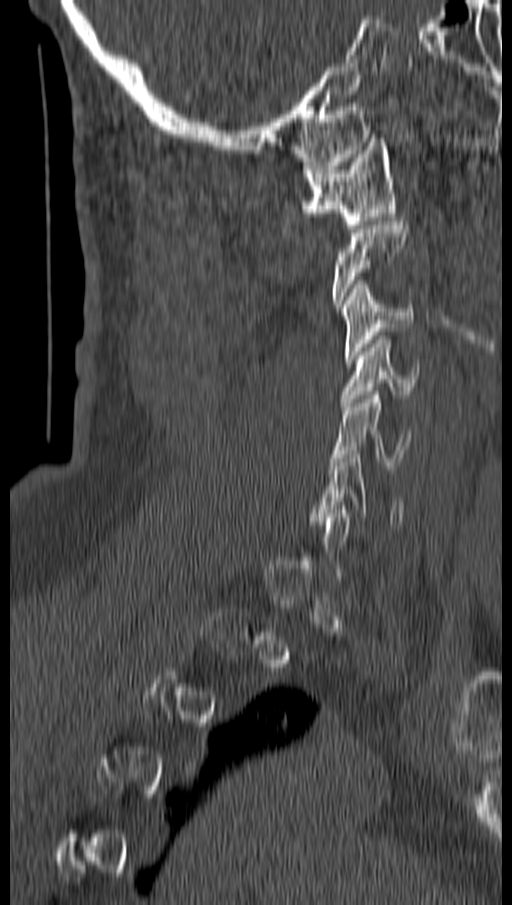
Spine computed tomography · sagittal view · bone window

Boxes: x1 y1 x2 y2 (pixel coords, space-separated).
A vertebra gets a box only on the slices from the first to the last where its cross-section is at least a third of its largest; on a slice outside that range it gets none.
Vertebra bounding boxes:
- C1: 301 138 395 228
- C3: 340 280 413 362
- C4: 342 336 418 406
- C5: 330 391 409 469
- C6: 314 454 404 528